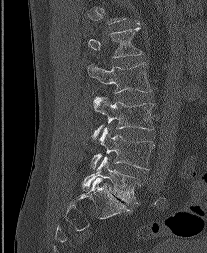 Computed tomography of the spine. sagittal view
This scan's labels start at L1 at the top and end at L5 at the bottom.
<vertebrae><v name="L1" x1="88" y1="28" x2="142" y2="57"/><v name="L2" x1="87" y1="63" x2="151" y2="92"/><v name="L3" x1="91" y1="96" x2="153" y2="139"/><v name="L4" x1="90" y1="127" x2="154" y2="169"/><v name="L5" x1="83" y1="156" x2="139" y2="203"/></vertebrae>